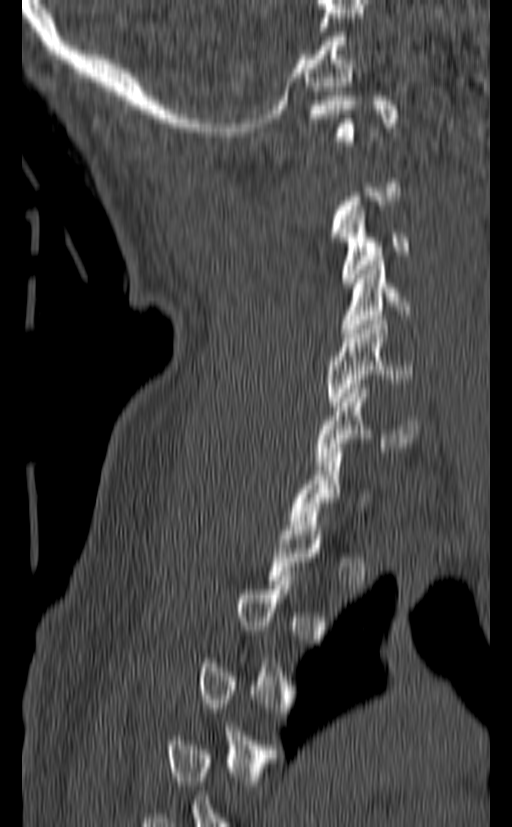 CT spine — 140 mm across the image — sagittal view. Boxes: x1 y1 x2 y2 (pixel coords, space-separated).
Not every vertebra on this slice has a box: a vertebra is boxed only from the first to the last slice where its cross-section is at least a third of its largest, and this slice is outside that range for at least one of them.
C1: 308 96 398 145
C3: 338 206 409 287
C4: 341 261 408 333
C5: 327 320 414 406
C6: 315 384 417 465